CT, spine; sagittal plane, index 294
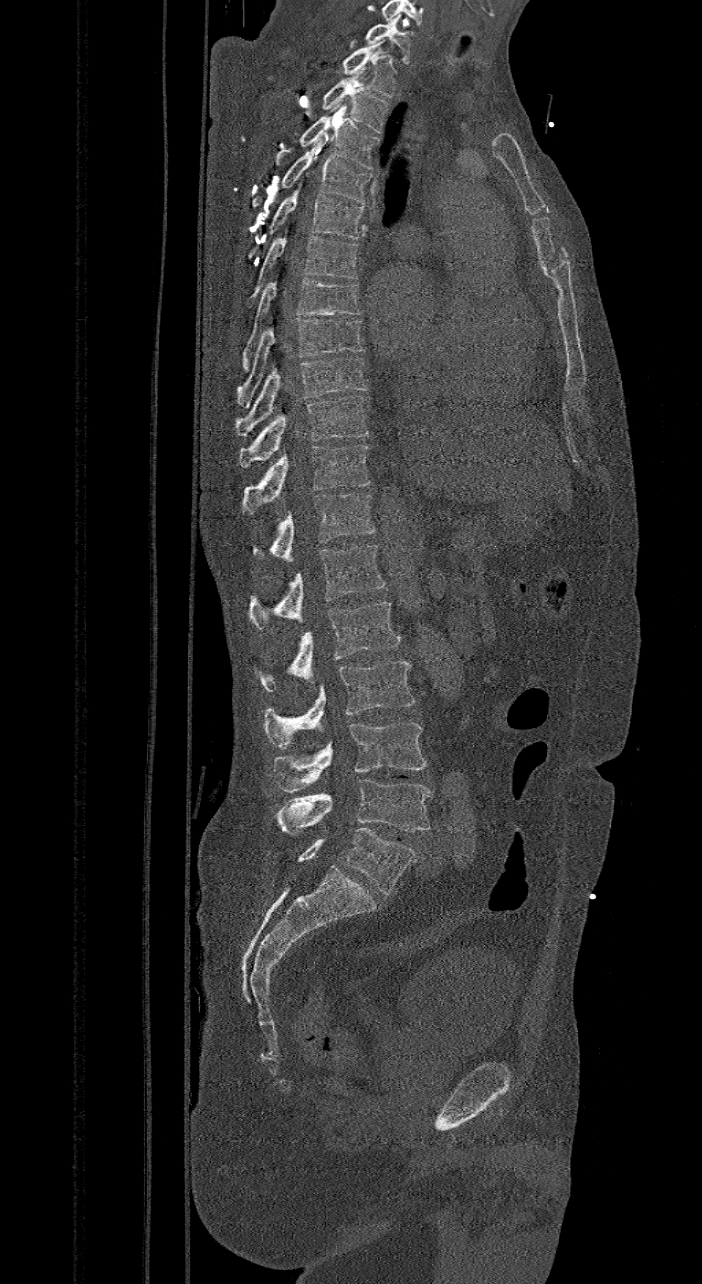
Bounding boxes as [x1, y1, x2, y2] in pixel coordinates.
The labels name a sixth lumbar vertebra for this spine: L6, after L5.
Vertebra bounding boxes:
- L6: [296, 828, 416, 895]
- L5: [275, 779, 432, 837]
- L4: [273, 723, 427, 792]
- L3: [264, 661, 416, 748]
- L2: [260, 602, 401, 692]
- L1: [249, 545, 384, 628]
- T12: [251, 492, 375, 561]
- T11: [241, 444, 370, 512]
- T10: [238, 395, 369, 467]
- T9: [234, 357, 368, 437]
- T8: [238, 318, 362, 407]
- T7: [241, 275, 364, 372]
- T6: [245, 228, 361, 308]
- T5: [247, 179, 364, 259]
- T4: [248, 141, 372, 217]
- T3: [299, 103, 380, 169]
- T2: [321, 69, 388, 133]
- T1: [341, 40, 398, 97]
- C7: [365, 16, 413, 63]